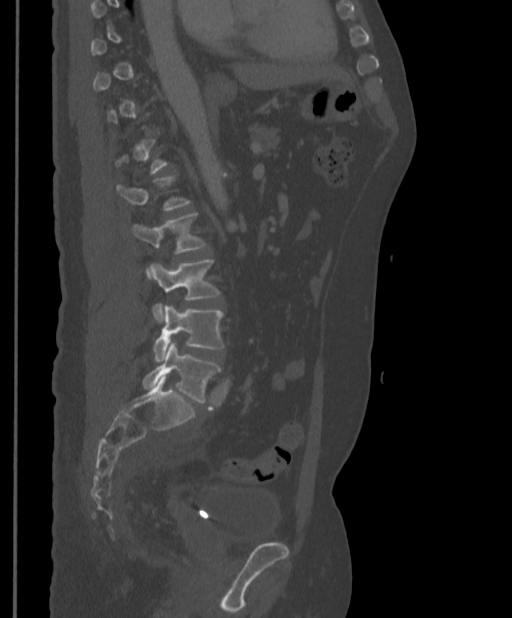

Spine computed tomography; 397 mm across the image; sagittal view; 512x618 px. Boxes are (x1, y1, x2, y2) in pixels.
A vertebra is boxed only from the first to the last slice where its cross-section is at least a third of its largest; slices outside that range leave it without a box.
L1: (116, 174, 191, 211)
L2: (131, 213, 206, 279)
L3: (151, 259, 221, 323)
L4: (153, 306, 225, 361)
L5: (142, 342, 221, 403)